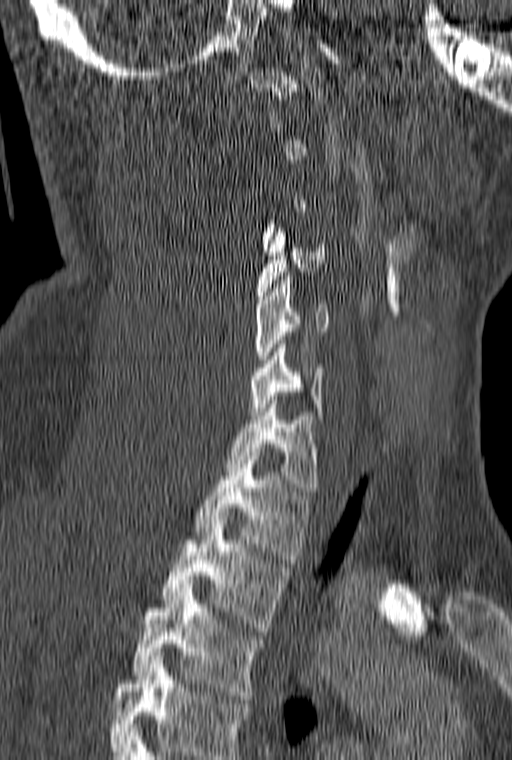 CT · sagittal reformat · W/L 1800/400 HU. Boxes are given in columns x1, y1, x2, y2, the pixel coordinates of their top-left and bottom-right corners.
A vertebra gets a box only on the slices from the first to the last where its cross-section is at least a third of its largest; on a slice outside that range it gets none.
In this scan, the topmost labeled vertebra is C1 and the lowest is T3.
| vertebra | x1 | y1 | x2 | y2 |
|---|---|---|---|---|
| C4 | 257 | 228 | 324 | 303 |
| C5 | 254 | 272 | 328 | 367 |
| C6 | 249 | 340 | 324 | 419 |
| C7 | 225 | 400 | 317 | 495 |
| T1 | 193 | 452 | 310 | 559 |
| T2 | 161 | 520 | 288 | 631 |
| T3 | 132 | 588 | 263 | 703 |